Spine computed tomography; Sagittal slice 260/512; 512x425 px; 10 vertebrae labeled in this scan
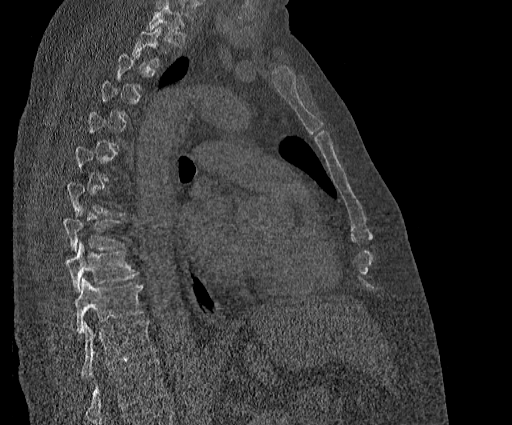 Each vertebra maps to its box as [x1, y1, x2, y2], the pixel coordinates of its top-left and bottom-right corners.
Not every vertebra on this slice has a box: a vertebra is boxed only from the first to the last slice where its cross-section is at least a third of its largest, and this slice is outside that range for at least one of them.
Labels in this scan begin with T2 at the top and end with T11 at the bottom.
{"vertebrae":{"T8":[64,211,124,252],"T9":[65,241,137,291],"T10":[74,279,143,334],"T11":[81,320,155,379]}}